Computed tomography of the spine — 445 mm across the image — Sagittal slice 259/512 — Bone window (WL 400, WW 1800) — 512x483 px
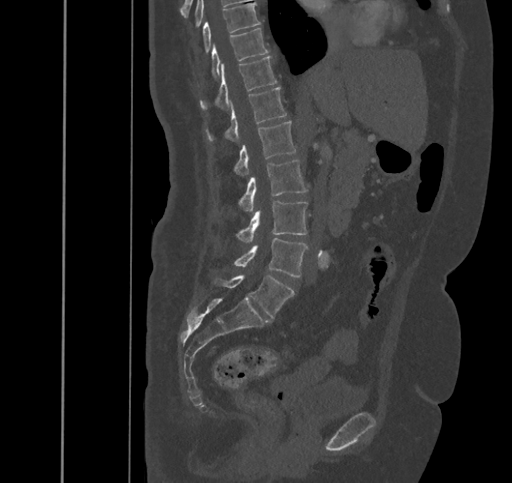 Box values are [left, top, right, bottom] in pixels.
{"vertebrae":{"T9":[202,3,260,53],"T10":[212,28,268,77],"T11":[200,56,276,109],"T12":[206,87,287,141],"L1":[233,121,296,174],"L2":[238,159,307,211],"L3":[236,201,307,242],"L4":[233,237,307,277],"L5":[214,275,293,318]}}